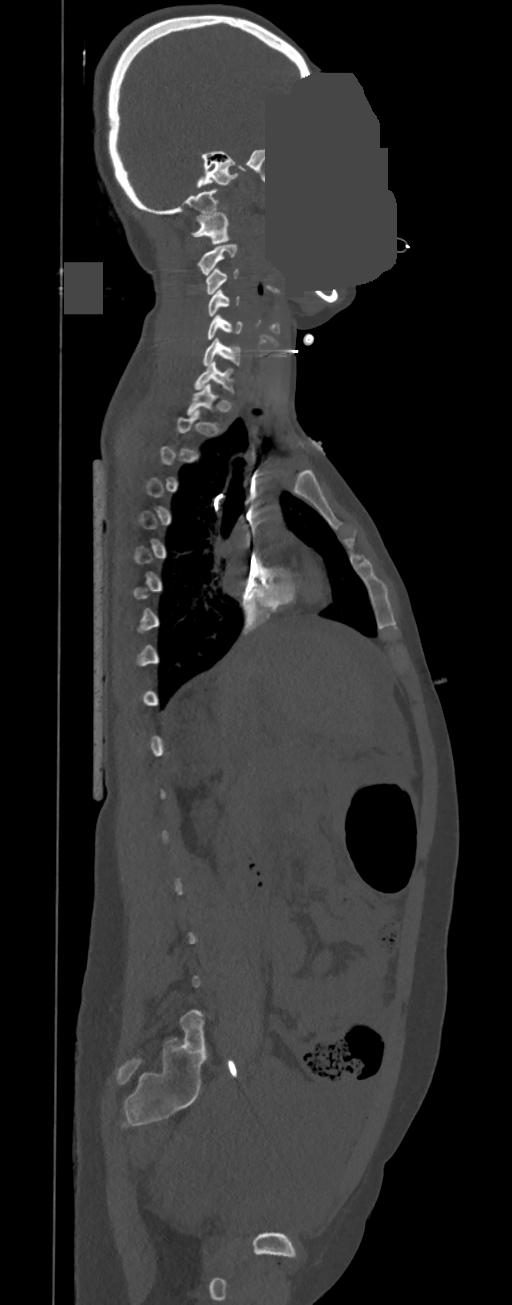

Spine CT · sagittal view · image 350 mm wide · a region is masked with a constant gray value. Columns x1, y1, x2, y2 give each box's top-left and bottom-right pixels.
A vertebra gets a box only on the slices from the first to the last where its cross-section is at least a third of its largest; on a slice outside that range it gets none.
| vertebra | x1 | y1 | x2 | y2 |
|---|---|---|---|---|
| C1 | 191 | 212 | 229 | 244 |
| C2 | 197 | 244 | 237 | 275 |
| C3 | 206 | 267 | 239 | 294 |
| C4 | 206 | 290 | 239 | 316 |
| C5 | 207 | 316 | 242 | 339 |
| C6 | 203 | 338 | 240 | 366 |
| C7 | 194 | 362 | 234 | 393 |
| T1 | 186 | 383 | 218 | 416 |